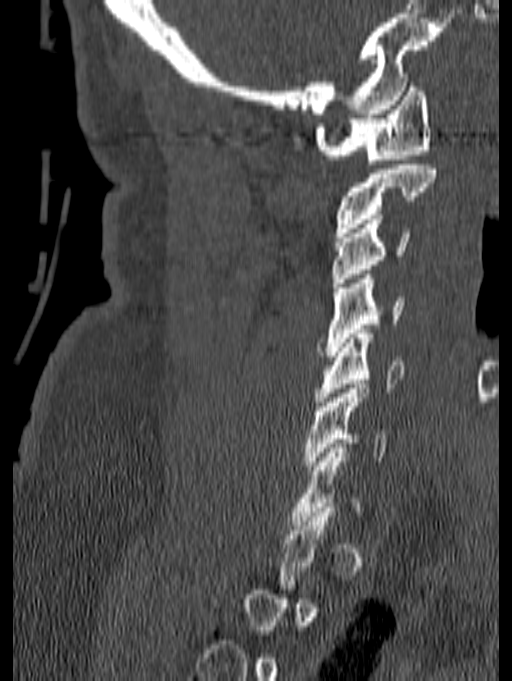
Spine CT — sagittal view — bone window. Boxes: x1:y1:x2:y2 in pixels.
Each vertebra is boxed only on the slices from the first to the last where its cross-section reaches a third of its largest, so a slice outside that range leaves it unboxed.
C1: 315:82:431:164
C2: 335:165:436:237
C3: 331:219:411:287
C4: 318:270:404:356
C5: 316:329:403:406
C6: 305:384:388:470